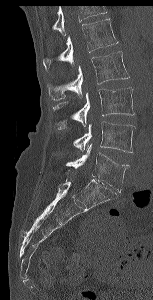
CT, spine — sagittal reformat. Box edges are left/top/right/bottom in pixels. A vertebra cut off by the top edge of the scan is not labeled and has no box. The labeled vertebrae in this slice are: L1 at left=43, top=18, right=118, bottom=70, L2 at left=47, top=51, right=129, bottom=100, L3 at left=53, top=87, right=134, bottom=128, L4 at left=73, top=122, right=134, bottom=152, L5 at left=66, top=144, right=129, bottom=192.